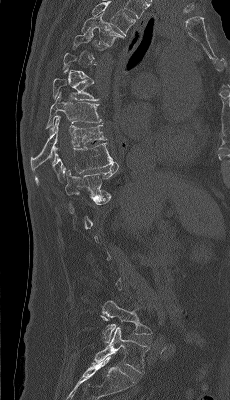

CT. sagittal view

Each row gives a vertebra's box as x1, y1, x2, y2 in pixels: top-left corner, then bottom-right corner.
Each vertebra is boxed only on the slices from the first to the last where its cross-section reaches a third of its largest, so a slice outside that range leaves it unboxed.
In this scan, the topmost labeled vertebra is T4 and the lowest is L5.
| vertebra | x1 | y1 | x2 | y2 |
|---|---|---|---|---|
| L5 | 94 | 327 | 149 | 373 |
| L4 | 102 | 300 | 151 | 343 |
| T11 | 65 | 163 | 118 | 197 |
| T10 | 35 | 143 | 116 | 184 |
| T9 | 31 | 116 | 106 | 171 |
| T8 | 45 | 92 | 102 | 128 |
| T7 | 53 | 78 | 98 | 100 |
| T4 | 81 | 13 | 125 | 46 |